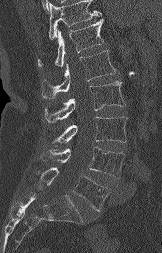

CT spine · sagittal view
Vertebrae that run past the top of the scan are left unlabeled.
<vertebrae><v name="T12" x1="38" y1="19" x2="103" y2="67"/><v name="L1" x1="42" y1="50" x2="115" y2="98"/><v name="L2" x1="44" y1="81" x2="125" y2="123"/><v name="L3" x1="53" y1="116" x2="127" y2="146"/><v name="L4" x1="41" y1="147" x2="124" y2="178"/><v name="L5" x1="36" y1="167" x2="109" y2="210"/></vertebrae>